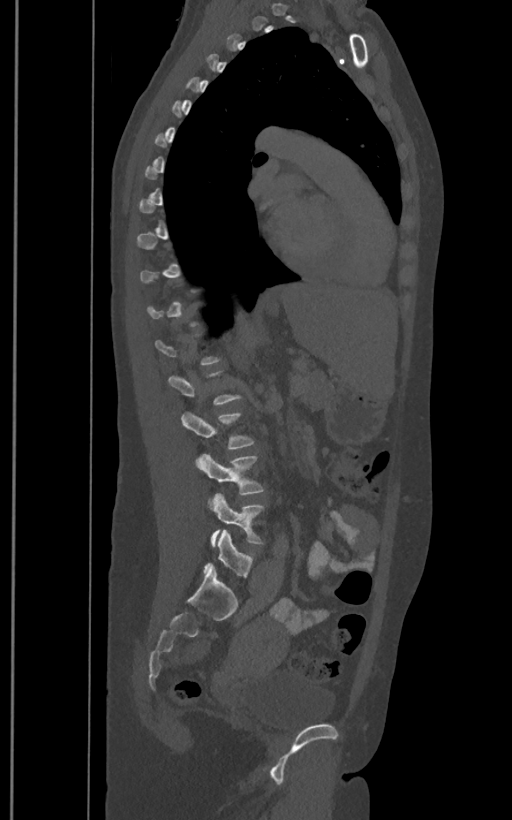
Spine CT — sagittal view. Boxes: x1:y1:x2:y2 in pixels. Each vertebra is boxed only on the slices from the first to the last where its cross-section reaches a third of its largest, so a slice outside that range leaves it unboxed. In these labels the spine has an L6, a sixth lumbar vertebra below L5. The labeled vertebrae in this slice are: L3 at 182:411:254:449, L4 at 196:454:264:504, L5 at 211:494:264:546, L6 at 203:530:254:577.